Spine computed tomography. sagittal reformat. image 160 mm wide. Bone window (WL 400, WW 1800). 512x760 px. 10 vertebrae labeled in this scan
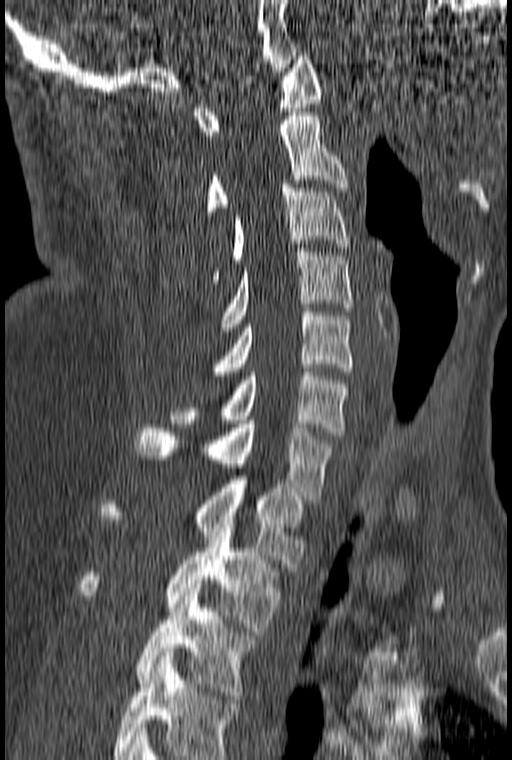 Boxes are (x1, y1, x2, y2) in pixels. Labels in this scan begin with C1 at the top and end with T3 at the bottom. Vertebrae labeled: T3 at (136, 584, 256, 699), T2 at (78, 524, 279, 631), T1 at (100, 476, 308, 567), C7 at (136, 420, 333, 499), C6 at (170, 372, 349, 435), C5 at (206, 308, 352, 375), C4 at (220, 248, 352, 327), C3 at (210, 184, 349, 283), C2 at (206, 112, 348, 215), C1 at (194, 56, 322, 135).